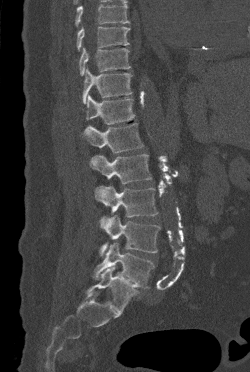

Spine computed tomography. sagittal view. W/L 1800/400 HU. 250x372 px. 250 mm image width
Boxes below are [x1, y1, x2, y2] in pixels.
A vertebra cut off by the top edge of the scan is not labeled and has no box.
{"vertebrae":{"T9":[77,26,130,51],"T10":[79,47,130,75],"T11":[82,68,132,103],"T12":[86,95,134,124],"L1":[82,123,143,153],"L2":[89,154,151,184],"L3":[95,186,158,217],"L4":[99,215,160,256],"L5":[93,242,154,287]}}